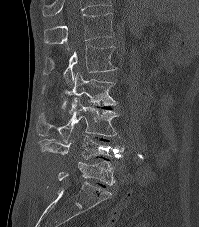
Spine computed tomography · sagittal view · bone window · 199x227 px · 199 mm wide. Boxes: x1 y1 x2 y2 (pixel coords, space-separated).
The highest labeled vertebra in this scan is T12; the lowest is L5.
Vertebra bounding boxes:
- L5: 58 160 115 185
- L4: 38 135 125 159
- L3: 37 98 119 141
- L2: 42 72 116 108
- L1: 43 45 118 84
- T12: 43 12 115 50